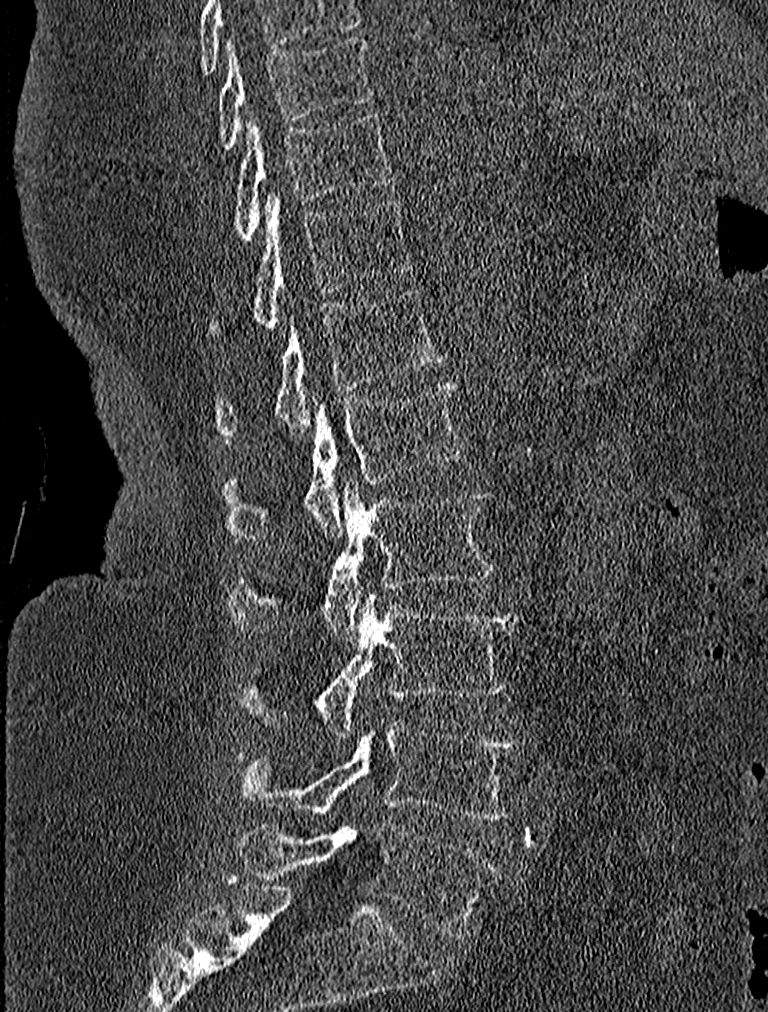 CT spine — sagittal reformat — the image is 227 mm wide
Each box is [x1, y1, x2, y2] in pixels: top-left corner, then bottom-right corner.
This scan's labels start at T9 at the top and end at L5 at the bottom.
{"vertebrae":{"T9":[215,38,370,148],"T10":[236,111,394,240],"T11":[253,190,411,328],"T12":[219,288,444,442],"L1":[225,382,468,543],"L2":[229,477,492,640],"L3":[242,592,519,739],"L4":[239,722,522,820],"L5":[236,821,502,935]}}